CT; sagittal reformat; bone-window reconstruction; 11 vertebrae labeled in this scan
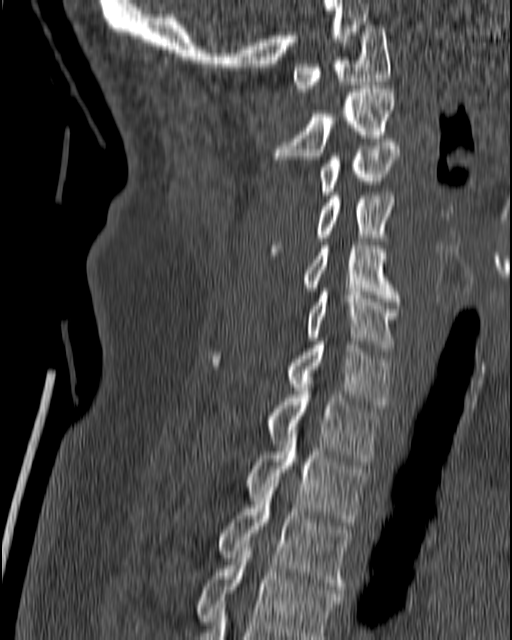
Boxes are (x1, y1, x2, y2) in pixels.
Vertebra bounding boxes:
- T4: (194, 544, 341, 639)
- T3: (217, 487, 350, 593)
- T2: (246, 430, 367, 529)
- T1: (265, 388, 378, 461)
- C7: (213, 341, 390, 408)
- C6: (305, 288, 398, 351)
- C5: (302, 242, 401, 301)
- C4: (271, 192, 395, 248)
- C3: (319, 139, 399, 195)
- C2: (271, 85, 395, 166)
- C1: (291, 25, 390, 91)